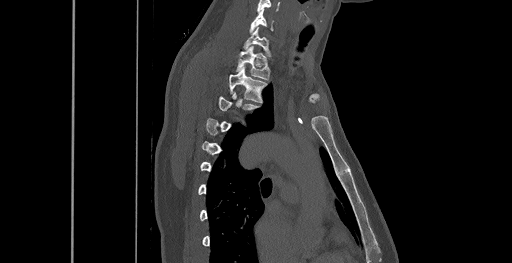
CT spine. the image spans 461 mm across. sagittal reformat. bone-window reconstruction. 512x263 px. Boxes are (x1, y1, x2, y2) in pixels.
A vertebra gets a box only on the slices from the first to the last where its cross-section is at least a third of its largest; on a slice outside that range it gets none.
Vertebra bounding boxes:
- T3: (219, 93, 260, 111)
- T2: (229, 67, 269, 102)
- T1: (237, 46, 270, 79)
- C7: (244, 26, 271, 56)
- C6: (250, 9, 273, 32)